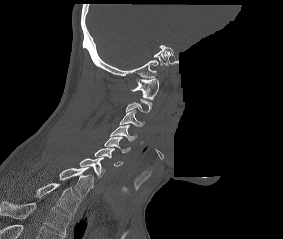 Computed tomography of the spine; sagittal reformat; the image spans 283 mm across; Bone window (WL 400, WW 1800); a region is blanked to uniform black, ending in a straight edge
Each box is [x1, y1, x2, y2] in pixels: top-left corner, then bottom-right corner.
A vertebra is boxed only from the first to the last slice where its cross-section is at least a third of its largest; slices outside that range leave it without a box.
This scan's labels start at C1 at the top and end at T2 at the bottom.
{"vertebrae":{"C1":[130,78,158,99],"C3":[119,109,144,127],"C4":[110,125,137,141],"C5":[104,136,130,153],"C6":[94,148,123,166],"C7":[79,157,104,177],"T1":[59,167,93,198],"T2":[35,183,79,214]}}